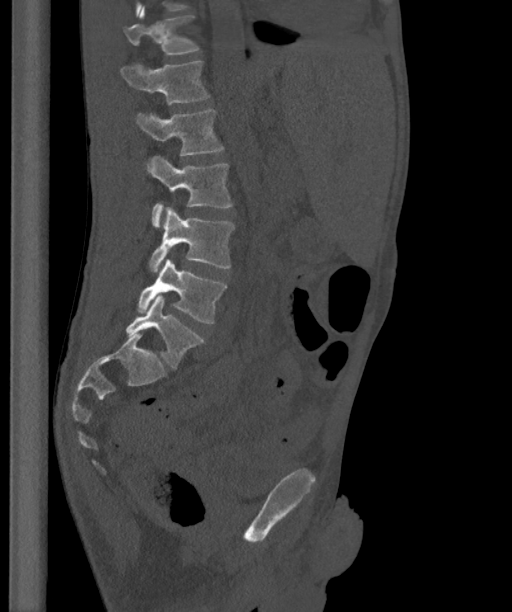
Spine computed tomography; sagittal view; bone-window reconstruction; 512x612 px. Box edges are left/top/right/bottom in pixels.
In these labels the spine has an L6, a sixth lumbar vertebra below L5.
T12: left=124, top=6, right=199, bottom=54
L1: left=119, top=61, right=209, bottom=104
L2: left=135, top=108, right=223, bottom=155
L3: left=147, top=156, right=232, bottom=227
L4: left=149, top=207, right=234, bottom=272
L5: left=136, top=258, right=226, bottom=323
L6: left=125, top=295, right=203, bottom=368